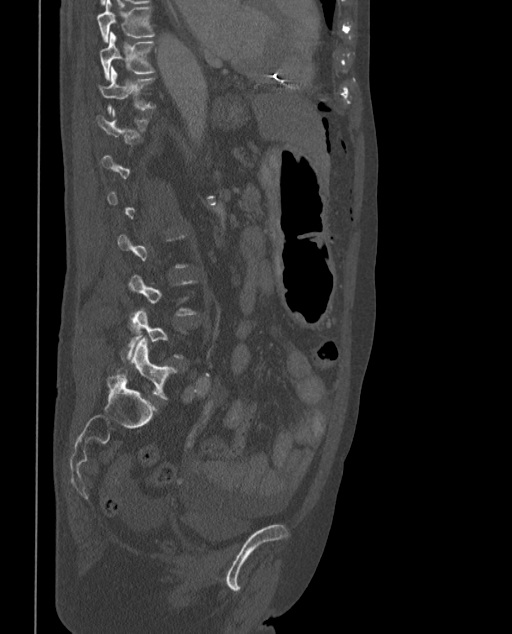 Spine computed tomography · sagittal view · W/L 1800/400 HU · 512x634 px

Boxes are given in columns x1, y1, x2, y2, the pixel coordinates of their top-left and bottom-right corners.
Not every vertebra on this slice has a box: a vertebra is boxed only from the first to the last slice where its cross-section is at least a third of its largest, and this slice is outside that range for at least one of them.
In these labels the spine has an L6, a sixth lumbar vertebra below L5.
| vertebra | x1 | y1 | x2 | y2 |
|---|---|---|---|---|
| L6 | 117 | 338 | 176 | 399 |
| T11 | 97 | 67 | 154 | 114 |
| T10 | 99 | 32 | 155 | 79 |
| T9 | 96 | 0 | 154 | 41 |